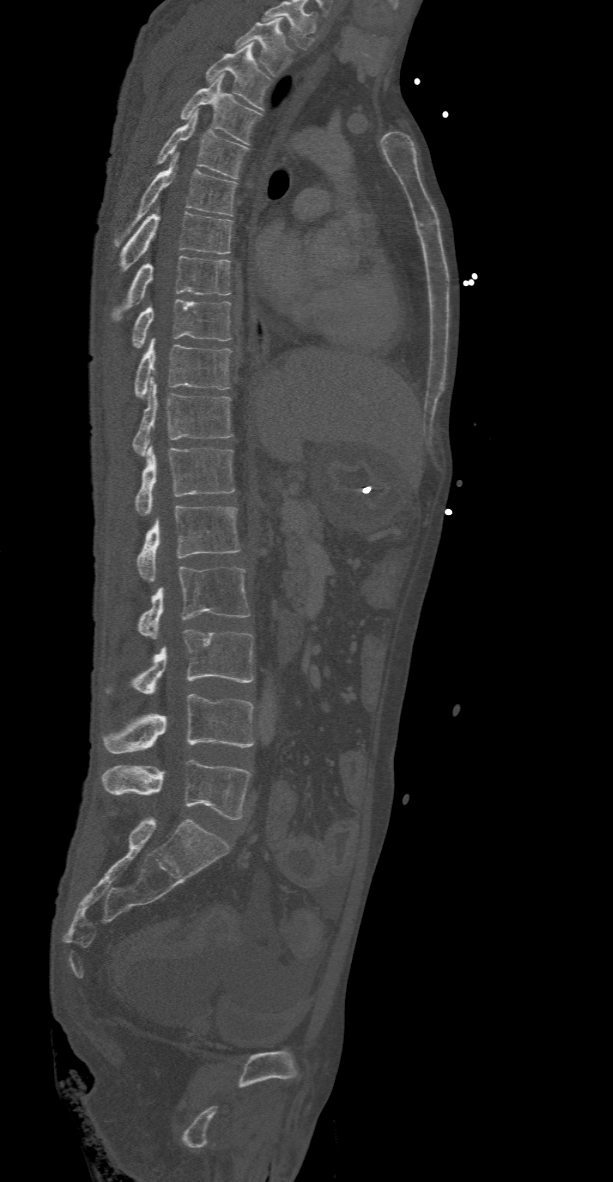

Spine computed tomography. sagittal view. 613x1182 px
Boxes: x1:y1:x2:y2 in pixels.
The highest labeled vertebra in this scan is T2; the lowest is L5.
T2: 235:19:292:75
T3: 205:44:271:110
T4: 180:73:260:143
T5: 157:109:246:178
T6: 116:152:235:243
T7: 116:207:233:276
T8: 108:256:230:323
T9: 132:299:230:348
T10: 133:339:230:398
T11: 132:379:233:456
T12: 134:446:235:515
L1: 137:506:241:581
L2: 137:566:251:638
L3: 104:629:254:694
L4: 102:694:254:753
L5: 102:759:251:820